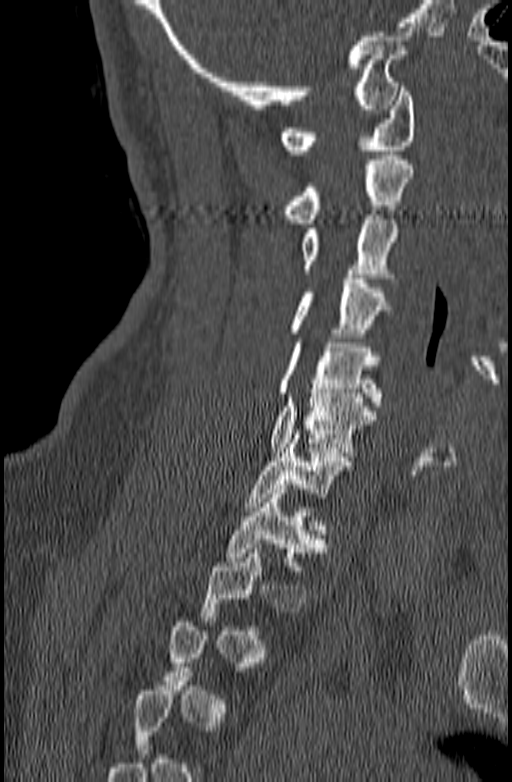
CT — sagittal view — bone window
Boxes are (x1, y1, x2, y2) in pixels.
Not every vertebra on this slice has a box: a vertebra is boxed only from the first to the last slice where its cross-section is at least a third of its largest, and this slice is outside that range for at least one of them.
Vertebra bounding boxes:
- C1: (280, 87, 415, 154)
- C2: (283, 155, 414, 223)
- C3: (301, 215, 399, 282)
- C4: (287, 274, 392, 337)
- C5: (276, 338, 381, 406)
- C6: (268, 389, 376, 456)
- C7: (244, 434, 351, 511)
- T1: (225, 489, 326, 570)